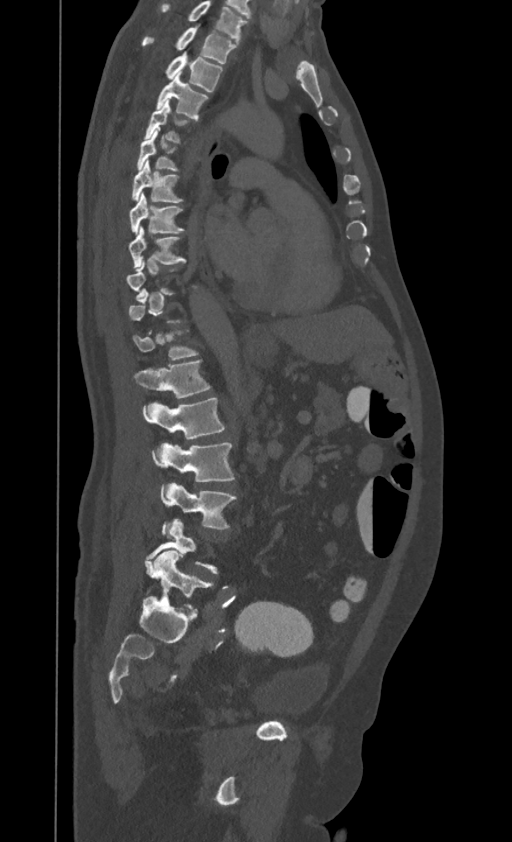
CT, spine; sagittal view; W/L 1800/400 HU
Each vertebra maps to its box as [x1, y1, x2, y2], the pixel coordinates of its top-left and bottom-right corners.
Not every vertebra on this slice has a box: a vertebra is boxed only from the first to the last slice where its cross-section is at least a third of its largest, and this slice is outside that range for at least one of them.
Labels in this scan begin with T1 at the top and end with L4 at the bottom.
{"vertebrae":{"T1":[142,26,236,63],"T2":[166,51,222,92],"T3":[157,72,208,119],"T5":[137,128,176,170],"T6":[132,160,182,202],"T7":[129,192,183,233],"T8":[128,226,186,268],"T12":[135,360,210,398],"L1":[142,398,224,439],"L2":[153,443,233,481],"L3":[161,483,235,529]}}